CT spine; Sagittal slice 252/512; scan covers 17 annotated vertebrae
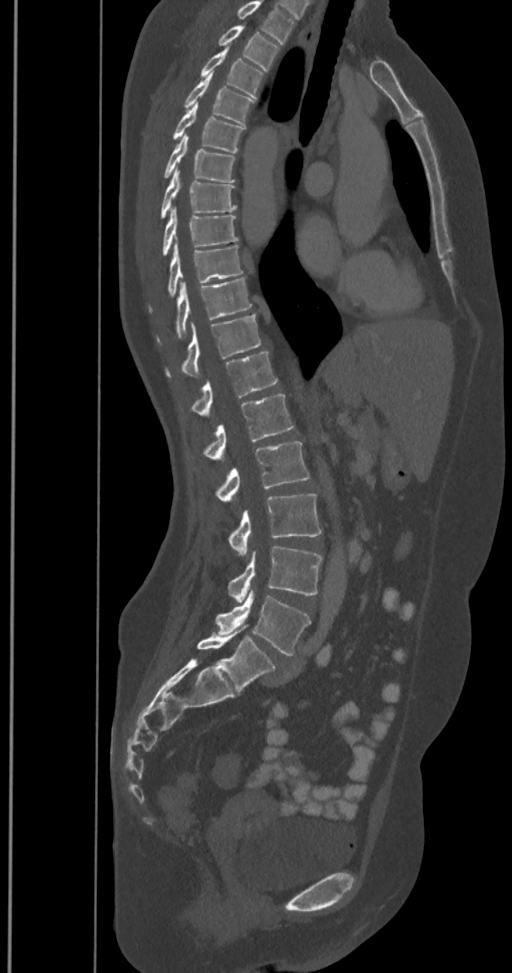 Box edges are left/top/right/bottom in pixels.
In this scan, the topmost labeled vertebra is T2 and the lowest is L6.
These labels give the spine a sixth lumbar vertebra, L6, below L5.
T2: left=218, top=25, right=278, bottom=71
T3: left=200, top=47, right=264, bottom=99
T4: left=183, top=72, right=253, bottom=125
T5: left=171, top=103, right=245, bottom=153
T6: left=164, top=133, right=234, bottom=182
T7: left=161, top=169, right=236, bottom=219
T8: left=162, top=207, right=239, bottom=256
T9: left=168, top=242, right=242, bottom=297
T10: left=158, top=278, right=252, bottom=340
T11: left=167, top=313, right=261, bottom=377
T12: left=191, top=352, right=277, bottom=416
L1: left=203, top=394, right=294, bottom=461
L2: left=216, top=441, right=309, bottom=502
L3: left=228, top=494, right=321, bottom=557
L4: left=228, top=546, right=322, bottom=602
L5: left=216, top=590, right=310, bottom=655
L6: left=197, top=625, right=275, bottom=693